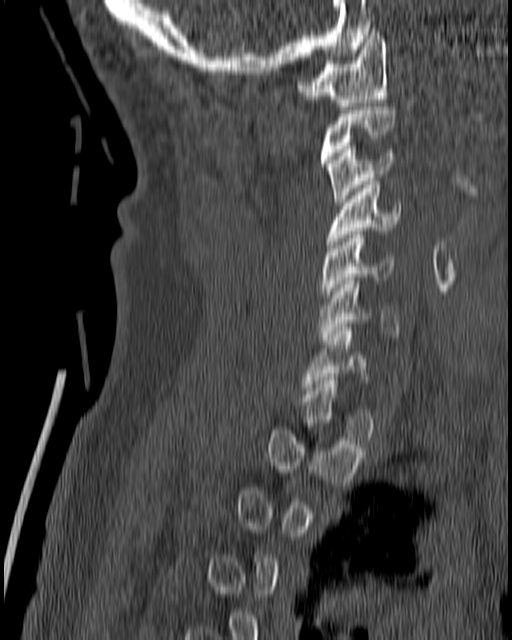

CT, spine; sagittal reformat; bone-window reconstruction; 180 mm across the image. Boxes are given in columns x1, y1, x2, y2, the pixel coordinates of their top-left and bottom-right corners.
Each vertebra is boxed only on the slices from the first to the last where its cross-section reaches a third of its largest, so a slice outside that range leaves it unboxed.
| vertebra | x1 | y1 | x2 | y2 |
|---|---|---|---|---|
| C1 | 297 | 28 | 388 | 109 |
| C3 | 325 | 146 | 396 | 205 |
| C4 | 325 | 178 | 401 | 248 |
| C5 | 319 | 235 | 393 | 301 |
| C6 | 319 | 277 | 399 | 340 |
| C7 | 302 | 327 | 367 | 390 |